CT · sagittal view · 427 mm image width
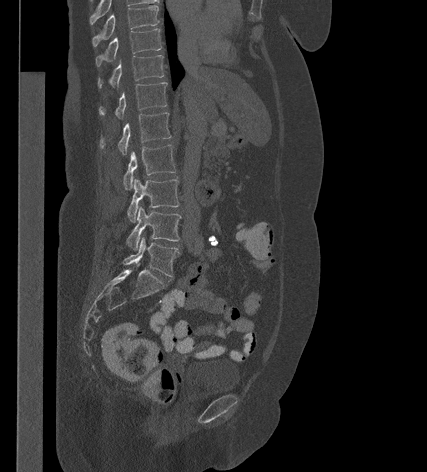
<vertebrae><v name="T9" x1="92" y1="5" x2="158" y2="46"/><v name="T10" x1="96" y1="29" x2="161" y2="66"/><v name="T11" x1="98" y1="55" x2="163" y2="87"/><v name="T12" x1="99" y1="82" x2="167" y2="119"/><v name="L1" x1="100" y1="112" x2="171" y2="155"/><v name="L2" x1="123" y1="145" x2="175" y2="189"/><v name="L3" x1="127" y1="178" x2="179" y2="222"/><v name="L4" x1="127" y1="206" x2="181" y2="250"/><v name="L5" x1="123" y1="237" x2="179" y2="276"/></vertebrae>